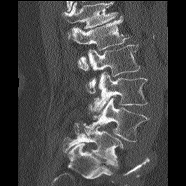

Computed tomography of the spine · sagittal view · 186x186 px · 186 mm wide
Each vertebra maps to its box as [x1, y1, x2, y2], the pixel coordinates of its top-left and bottom-right corners.
Where the top of the scan cuts through a vertebra, that vertebra gets no label or box.
{"vertebrae":{"L1":[68,16,129,70],"L2":[86,44,140,93],"L3":[88,71,147,112],"L4":[83,98,149,141],"L5":[62,123,123,167]}}